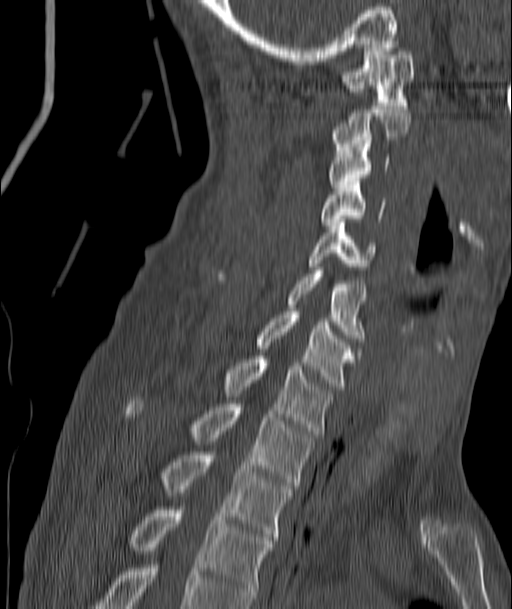
CT, spine · sagittal view · bone window · image 187 mm wide
Bounding boxes as [x1, y1, x2, y2] in pixel coordinates.
C1: [343, 44, 413, 105]
C2: [332, 106, 411, 150]
C3: [329, 144, 389, 187]
C4: [321, 181, 383, 225]
C5: [310, 219, 376, 269]
C6: [220, 270, 367, 341]
C7: [255, 311, 356, 389]
T1: [225, 356, 331, 437]
T2: [124, 397, 315, 488]
T3: [162, 452, 293, 540]
T4: [130, 507, 271, 601]